Spine computed tomography. sagittal view. W/L 1800/400 HU. scan covers 11 annotated vertebrae
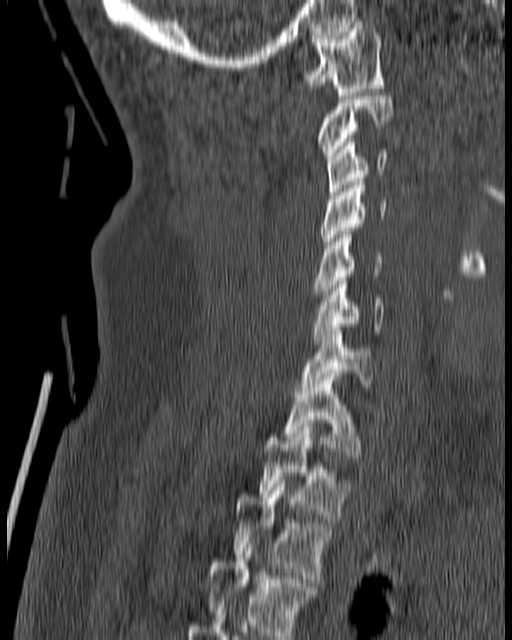
Columns x1, y1, x2, y2 give each box's top-left and bottom-right pixels.
| vertebra | x1 | y1 | x2 | y2 |
|---|---|---|---|---|
| T4 | 205 | 548 | 315 | 635 |
| T3 | 234 | 480 | 333 | 582 |
| T2 | 259 | 423 | 350 | 518 |
| T1 | 282 | 377 | 358 | 458 |
| C7 | 300 | 331 | 373 | 390 |
| C6 | 311 | 277 | 387 | 344 |
| C5 | 313 | 231 | 384 | 294 |
| C4 | 322 | 178 | 387 | 248 |
| C3 | 327 | 139 | 388 | 195 |
| C2 | 317 | 92 | 394 | 159 |
| C1 | 305 | 21 | 384 | 95 |